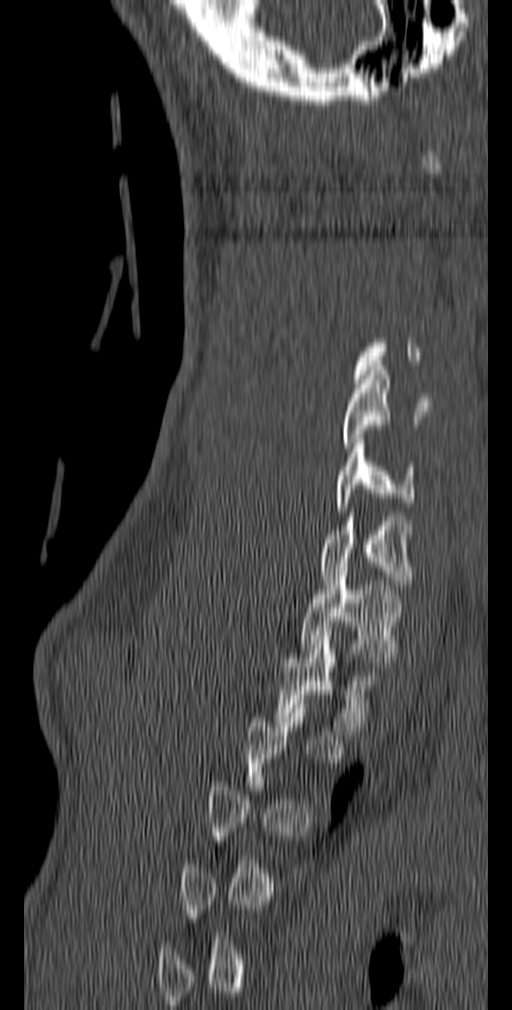
CT, spine. sagittal view. W/L 1800/400 HU
Each box given as x1,y1,x2,y2.
A vertebra gets a box only on the slices from the first to the last where its cross-section is at least a third of its largest; on a slice outside that range it gets none.
C5: x1=341, y1=366, x2=432, y2=452
C6: x1=334, y1=439, x2=417, y2=511
C7: x1=320, y1=507, x2=412, y2=589
T1: x1=300, y1=567, x2=403, y2=666
T2: x1=275, y1=631, x2=379, y2=735